Spine computed tomography; sagittal plane, index 273; 527x755 px; 474 mm across the image; 18 vertebrae labeled in this scan
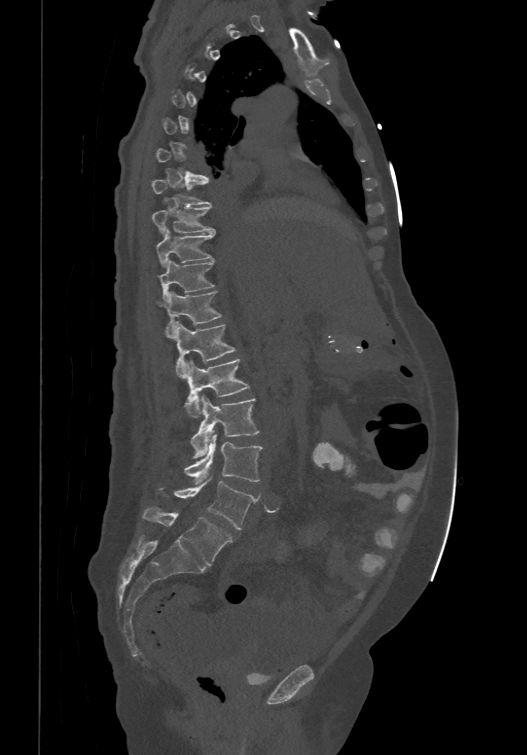

Each box given as x1,y1,x2,y2.
Not every vertebra on this slice has a box: a vertebra is boxed only from the first to the last slice where its cross-section is at least a third of its largest, and this slice is outside that range for at least one of them.
The labels name a sixth lumbar vertebra for this spine: L6, after L5.
Vertebra bounding boxes:
- T8: x1=151, y1=177, x2=210, y2=204
- T9: x1=151, y1=197, x2=215, y2=232
- T10: x1=155, y1=227, x2=215, y2=265
- T11: x1=157, y1=258, x2=215, y2=300
- T12: x1=156, y1=291, x2=221, y2=336
- L1: x1=173, y1=321, x2=235, y2=375
- L2: x1=184, y1=357, x2=249, y2=417
- L3: x1=191, y1=396, x2=259, y2=457
- L4: x1=184, y1=433, x2=262, y2=483
- L5: x1=175, y1=476, x2=257, y2=530
- L6: x1=142, y1=507, x2=231, y2=565